CT spine. sagittal plane, index 291. Bone window (WL 400, WW 1800). 512x780 px. scan covers 10 annotated vertebrae
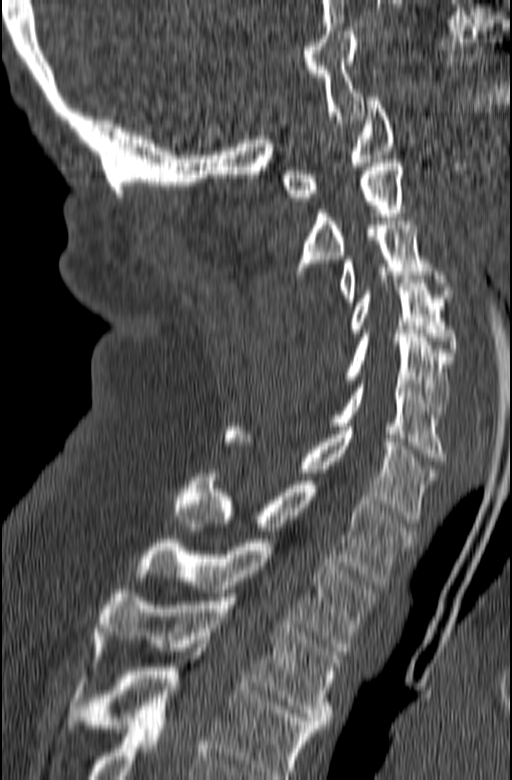
Boxes are (x1, y1, x2, y2) in pixels.
In this scan, the topmost labeled vertebra is C1 and the lowest is T3.
C1: (283, 97, 394, 201)
C2: (296, 159, 403, 274)
C3: (339, 221, 453, 302)
C4: (349, 279, 457, 356)
C5: (345, 334, 453, 418)
C6: (330, 380, 447, 461)
C7: (224, 427, 437, 523)
T1: (174, 473, 416, 585)
T2: (136, 539, 378, 651)
T3: (89, 590, 340, 728)